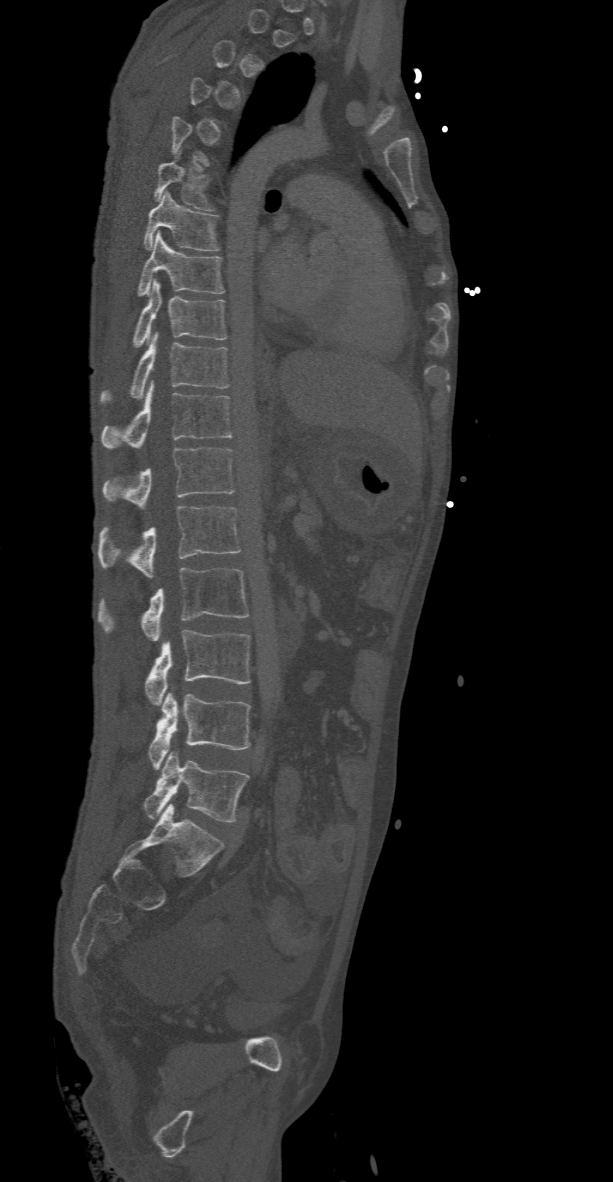
CT. sagittal view. image width 368 mm. Bone window (WL 400, WW 1800)
Not every vertebra on this slice has a box: a vertebra is boxed only from the first to the last slice where its cross-section is at least a third of its largest, and this slice is outside that range for at least one of them.
<vertebrae><v name="T6" x1="153" y1="149" x2="213" y2="210"/><v name="T7" x1="143" y1="192" x2="218" y2="251"/><v name="T8" x1="137" y1="231" x2="224" y2="296"/><v name="T9" x1="132" y1="279" x2="227" y2="346"/><v name="T10" x1="99" y1="332" x2="229" y2="403"/><v name="T11" x1="102" y1="382" x2="233" y2="448"/><v name="T12" x1="103" y1="447" x2="234" y2="508"/><v name="L1" x1="98" y1="506" x2="241" y2="578"/><v name="L2" x1="98" y1="567" x2="248" y2="641"/><v name="L3" x1="145" y1="629" x2="251" y2="705"/><v name="L4" x1="149" y1="692" x2="251" y2="770"/><v name="L5" x1="143" y1="751" x2="248" y2="821"/></vertebrae>